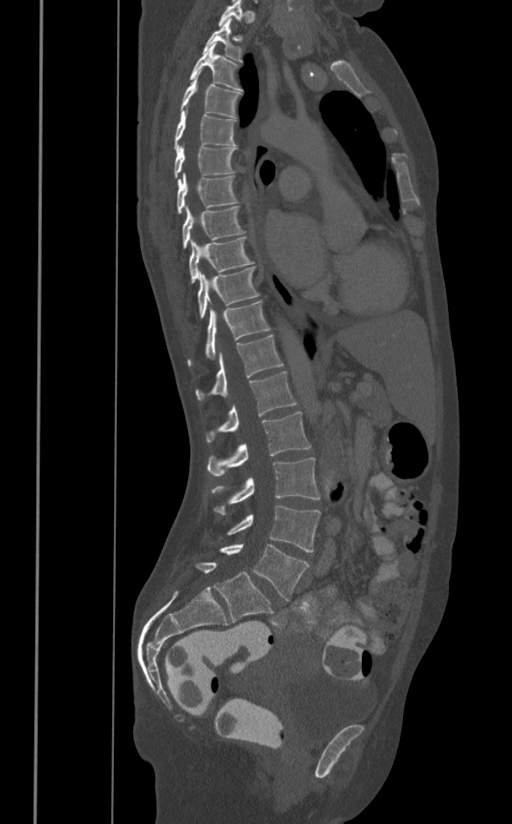
Spine computed tomography · sagittal view

Boxes: x1 y1 x2 y2 (pixel coords, space-separated). The labeled vertebrae in this slice are: T1 at 219 0 242 26, T2 at 203 18 242 61, T3 at 189 44 242 91, T4 at 181 70 241 118, T5 at 173 105 236 149, T6 at 173 144 236 178, T7 at 177 172 237 213, T8 at 182 206 245 248, T9 at 188 237 254 283, T10 at 198 268 259 317, T11 at 187 301 270 366, T12 at 195 334 283 400, L1 at 205 371 296 442, L2 at 207 411 310 476, L3 at 212 457 320 514, L4 at 226 506 320 552, L5 at 220 543 309 600.